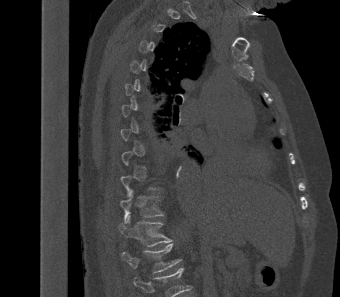
CT spine; sagittal view; 340x297 px
Not every vertebra on this slice has a box: a vertebra is boxed only from the first to the last slice where its cross-section is at least a third of its largest, and this slice is outside that range for at least one of them.
This scan's labels start at T2 at the top and end at L1 at the bottom.
<vertebrae><v name="T11" x1="120" y1="190" x2="164" y2="224"/><v name="T12" x1="119" y1="215" x2="172" y2="246"/><v name="L1" x1="122" y1="243" x2="181" y2="273"/></vertebrae>